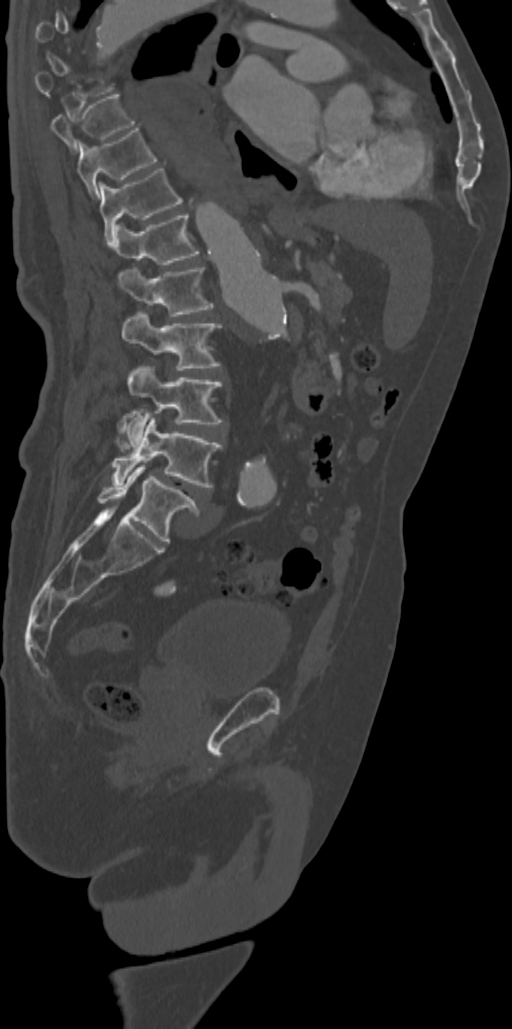
CT, spine. sagittal view. Bone window (WL 400, WW 1800). 512x1029 px
Each box is [x1, y1, x2, y2] in pixels: top-left corner, then bottom-right corner.
A vertebra gets a box only on the slices from the first to the last where its cross-section is at least a third of its largest; on a slice outside that range it gets none.
{"vertebrae":{"T9":[51,94,134,154],"T10":[76,128,156,199],"T11":[99,168,183,246],"T12":[114,213,199,264],"L1":[117,267,213,316],"L2":[121,312,220,370],"L3":[128,366,222,444],"L4":[112,416,222,486],"L5":[97,465,199,543]}}